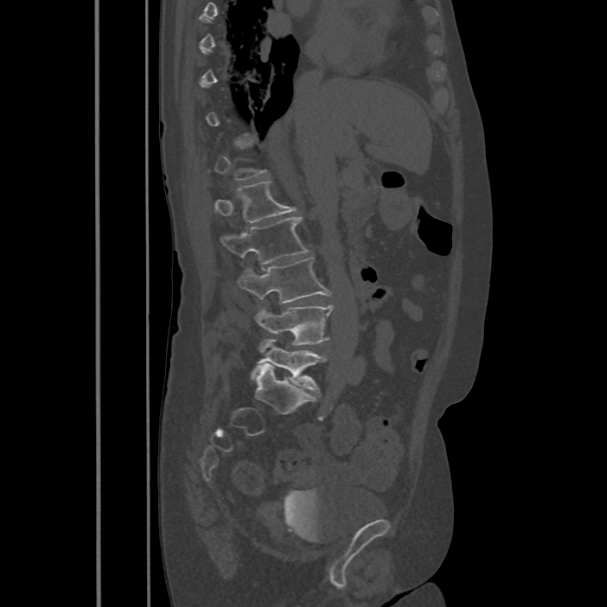

Computed tomography of the spine. sagittal view. bone-window reconstruction
Boxes: x1:y1:x2:y2 in pixels. Not every vertebra on this slice has a box: a vertebra is boxed only from the first to the last slice where its cross-section is at least a third of its largest, and this slice is outside that range for at least one of them. The labeled vertebrae in this slice are: L1 at 215:181:297:222, L2 at 221:217:309:264, L3 at 237:257:331:302, L4 at 255:305:332:345, L5 at 251:340:325:391.